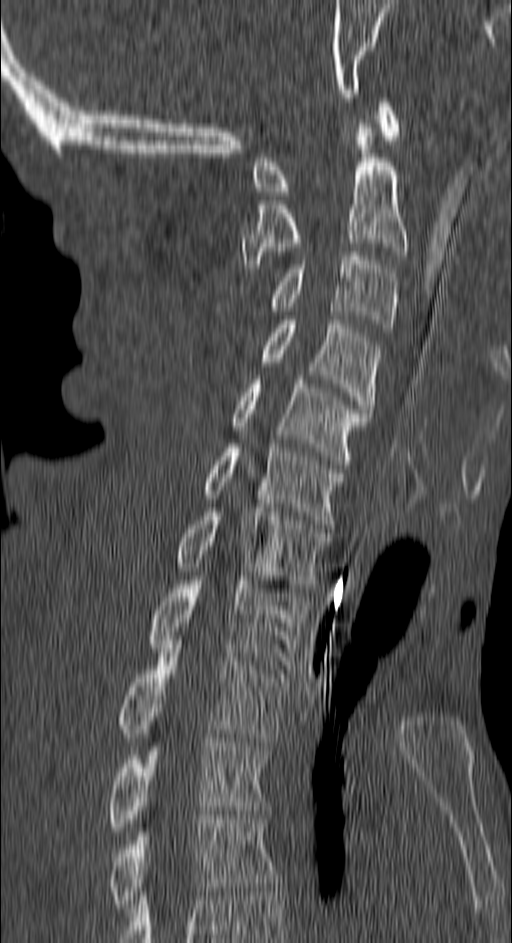

CT spine · sagittal view · W/L 1800/400 HU

Each row gives a vertebra's box as x1, y1, x2, y2 in pixels: top-left corner, then bottom-right corner.
| vertebra | x1 | y1 | x2 | y2 |
|---|---|---|---|---|
| C1 | 254 | 98 | 400 | 195 |
| C2 | 240 | 128 | 406 | 268 |
| C3 | 271 | 252 | 396 | 332 |
| C4 | 261 | 320 | 379 | 413 |
| C5 | 230 | 380 | 370 | 464 |
| C6 | 203 | 444 | 345 | 524 |
| C7 | 175 | 508 | 328 | 588 |
| T1 | 148 | 576 | 304 | 669 |
| T2 | 117 | 644 | 288 | 746 |
| T3 | 107 | 738 | 266 | 831 |
| T4 | 107 | 815 | 277 | 912 |